CT spine — sagittal reformat — the image spans 500 mm across — Bone window (WL 400, WW 1800) — scan covers 23 annotated vertebrae — a portion of the image is blanked out (constant pixel value)
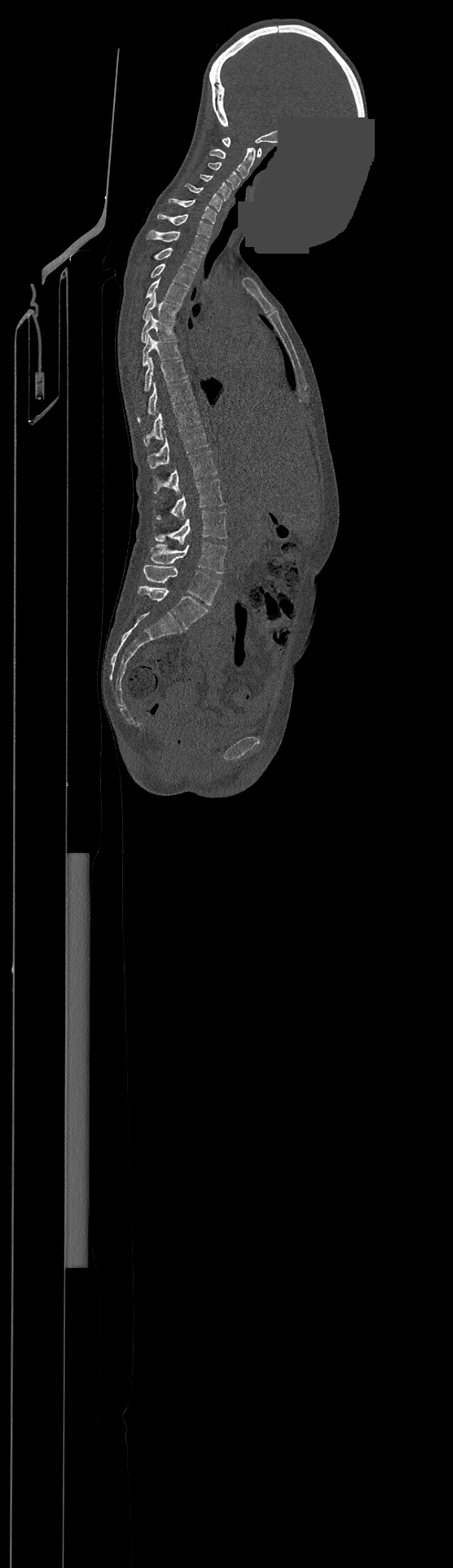

Labels in this scan begin with C1 at the top and end with L4 at the bottom.
<vertebrae><v name="L4" x1="144" y1="565" x2="221" y2="605"/><v name="L3" x1="150" y1="541" x2="226" y2="573"/><v name="L2" x1="155" y1="510" x2="227" y2="545"/><v name="L1" x1="155" y1="479" x2="225" y2="520"/><v name="T12" x1="153" y1="451" x2="217" y2="493"/><v name="T11" x1="147" y1="426" x2="209" y2="468"/><v name="T10" x1="144" y1="402" x2="200" y2="445"/><v name="T9" x1="138" y1="380" x2="194" y2="422"/><v name="T8" x1="144" y1="358" x2="187" y2="391"/><v name="T7" x1="143" y1="334" x2="180" y2="366"/><v name="T6" x1="142" y1="313" x2="176" y2="342"/><v name="T5" x1="143" y1="294" x2="180" y2="320"/><v name="T4" x1="146" y1="278" x2="187" y2="304"/><v name="T3" x1="150" y1="263" x2="195" y2="287"/><v name="T2" x1="155" y1="248" x2="201" y2="271"/><v name="T1" x1="147" y1="230" x2="208" y2="254"/><v name="C7" x1="157" y1="214" x2="213" y2="237"/><v name="C6" x1="168" y1="198" x2="217" y2="223"/><v name="C5" x1="185" y1="183" x2="222" y2="211"/><v name="C4" x1="200" y1="174" x2="231" y2="200"/><v name="C3" x1="207" y1="163" x2="240" y2="189"/><v name="C2" x1="209" y1="148" x2="256" y2="178"/><v name="C1" x1="222" y1="137" x2="261" y2="157"/></vertebrae>